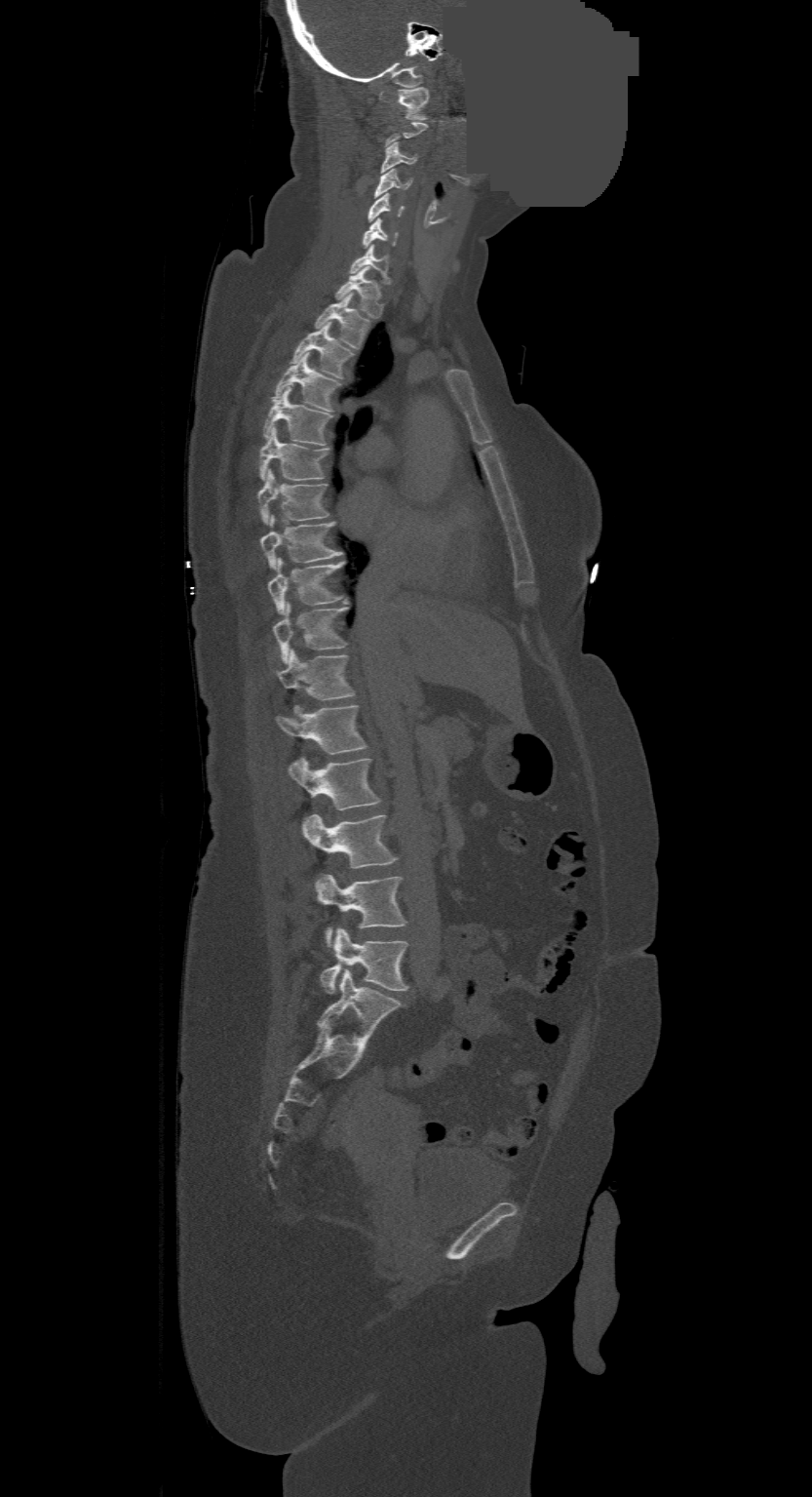

Spine computed tomography; sagittal view; image width 500 mm; bone window; 812x1497 px; a region of this slice is masked with a uniform fill
A vertebra is boxed only from the first to the last slice where its cross-section is at least a third of its largest; slices outside that range leave it without a box.
The highest labeled vertebra in this scan is C1; the lowest is L4.
<vertebrae><v name="C1" x1="397" y1="87" x2="429" y2="120"/><v name="C3" x1="381" y1="143" x2="416" y2="172"/><v name="C4" x1="374" y1="170" x2="411" y2="198"/><v name="C5" x1="367" y1="194" x2="404" y2="222"/><v name="C6" x1="362" y1="218" x2="398" y2="248"/><v name="C7" x1="349" y1="244" x2="391" y2="284"/><v name="T1" x1="334" y1="267" x2="383" y2="318"/><v name="T2" x1="316" y1="293" x2="368" y2="349"/><v name="T3" x1="290" y1="324" x2="353" y2="378"/><v name="T4" x1="271" y1="353" x2="340" y2="411"/><v name="T5" x1="263" y1="387" x2="332" y2="445"/><v name="T6" x1="260" y1="429" x2="329" y2="481"/><v name="T7" x1="258" y1="470" x2="329" y2="525"/><v name="T8" x1="260" y1="516" x2="342" y2="569"/><v name="T9" x1="268" y1="558" x2="346" y2="613"/><v name="T10" x1="273" y1="602" x2="348" y2="662"/><v name="T11" x1="278" y1="650" x2="355" y2="700"/><v name="T12" x1="276" y1="706" x2="366" y2="754"/><v name="L1" x1="289" y1="756" x2="381" y2="810"/><v name="L2" x1="301" y1="814" x2="398" y2="867"/><v name="L3" x1="316" y1="875" x2="406" y2="947"/><v name="L4" x1="321" y1="928" x2="408" y2="993"/></vertebrae>